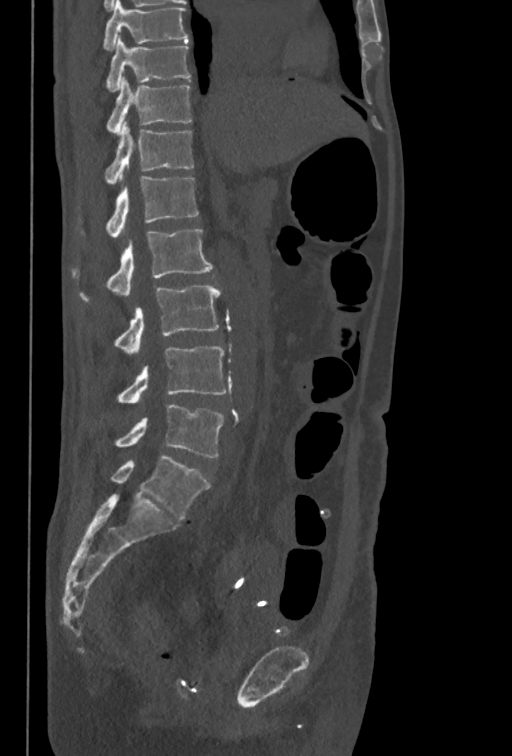
CT. sagittal view. W/L 1800/400 HU
Bounding boxes as [x1, y1, x2, y2] in pixel coordinates.
In this scan, the topmost labeled vertebra is T10 and the lowest is L5.
Vertebra bounding boxes:
- T10: [105, 37, 190, 91]
- T11: [107, 76, 192, 135]
- T12: [105, 121, 193, 183]
- L1: [80, 176, 199, 237]
- L2: [71, 229, 212, 303]
- L3: [114, 284, 220, 354]
- L4: [117, 346, 226, 403]
- L5: [114, 404, 224, 457]